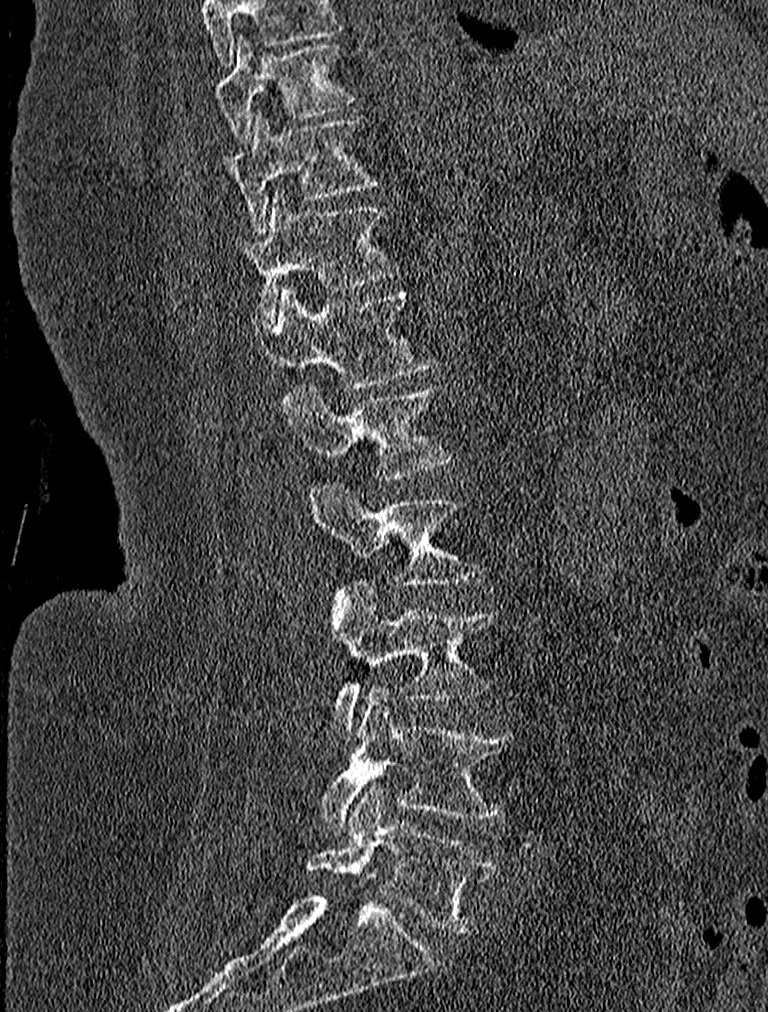 CT — sagittal view — Bone window (WL 400, WW 1800)
Each box given as x1,y1,x2,y2.
The highest labeled vertebra in this scan is T9; the lowest is L5.
| vertebra | x1 | y1 | x2 | y2 |
|---|---|---|---|---|
| T9 | 215 | 35 | 356 | 142 |
| T10 | 225 | 111 | 380 | 232 |
| T11 | 235 | 190 | 397 | 322 |
| T12 | 260 | 288 | 438 | 389 |
| L1 | 283 | 382 | 455 | 480 |
| L2 | 310 | 481 | 482 | 587 |
| L3 | 330 | 580 | 492 | 739 |
| L4 | 320 | 685 | 514 | 833 |
| L5 | 307 | 783 | 495 | 932 |